Computed tomography of the spine · Sagittal slice 339/512 · bone-window reconstruction
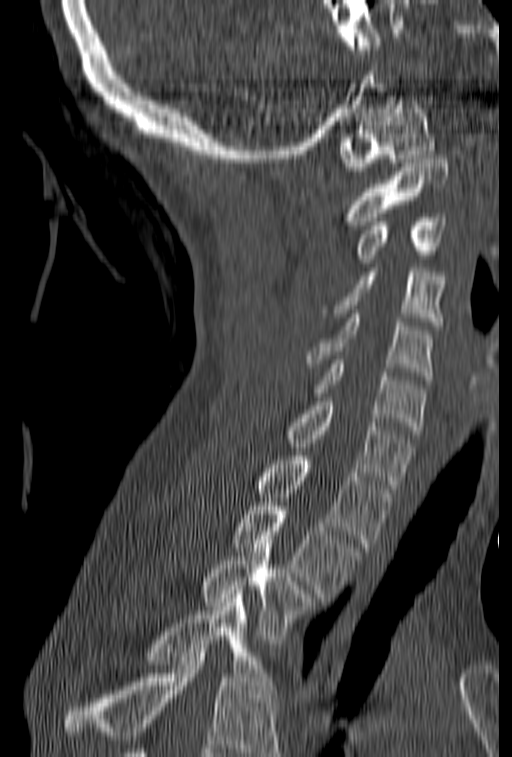
Each box given as x1,y1,x2,y2. Vertebrae that run past the bottom of the scan are left unlabeled. 11 vertebrae labeled — C1 at x1=339, y1=96, x2=435, y2=175; C2 at x1=343, y1=155, x2=449, y2=225; C3 at x1=356, y1=213, x2=446, y2=263; C4 at x1=322, y1=268, x2=445, y2=329; C5 at x1=307, y1=314, x2=433, y2=380; C6 at x1=310, y1=360, x2=425, y2=434; C7 at x1=286, y1=397, x2=415, y2=488; T1 at x1=258, y1=452, x2=392, y2=547; T2 at x1=232, y1=502, x2=362, y2=597; T3 at x1=202, y1=540, x2=318, y2=643; T4 at x1=142, y1=590, x2=275, y2=693.